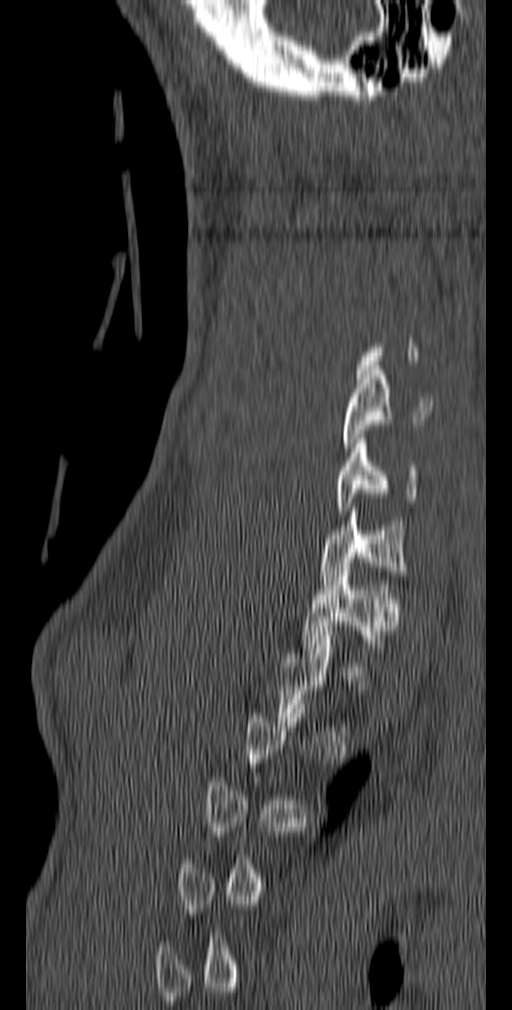
Spine CT · sagittal view
Box edges are left/top/right/bottom in pixels. A vertebra is boxed only from the first to the last slice where its cross-section is at least a third of its largest; slices outside that range leave it without a box. 4 vertebrae labeled — C5 at left=341, top=366, right=432, bottom=452; C6 at left=336, top=434, right=419, bottom=511; C7 at left=320, top=507, right=407, bottom=584; T1 at left=303, top=567, right=400, bottom=653.